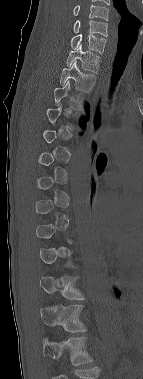

CT. sagittal view. 143 mm image width. Boxes are (x1, y1, x2, y2) in pixels. Each vertebra is boxed only on the slices from the first to the last where its cross-section reaches a third of its largest, so a slice outside that range leaves it unboxed. Labels in this scan begin with C6 at the top and end with T12 at the bottom. The labeled vertebrae in this slice are: T12 at (40, 304, 86, 332), T11 at (40, 276, 84, 299), T3 at (54, 80, 82, 109), T2 at (60, 61, 96, 92), T1 at (66, 44, 100, 72), C7 at (70, 34, 106, 53), C6 at (73, 20, 107, 36).